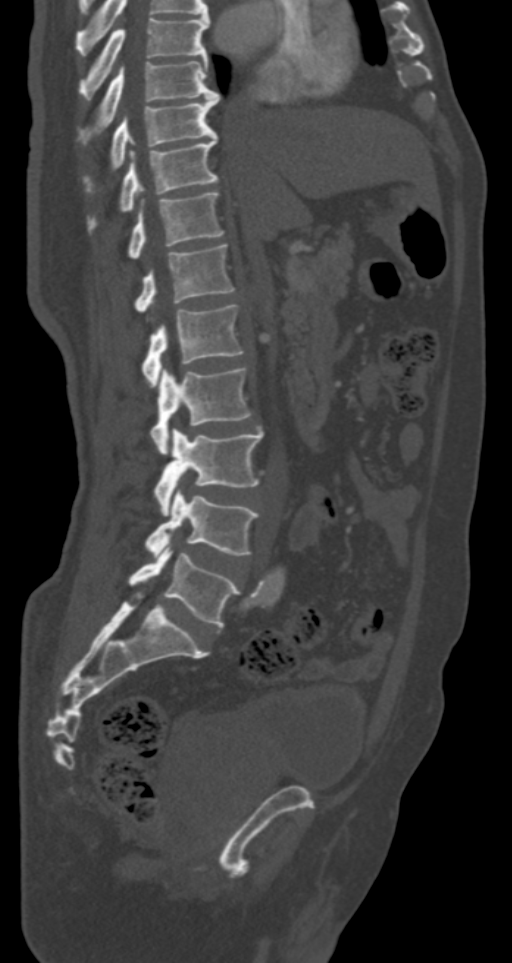 Spine computed tomography. sagittal reformat. 512x963 px. the image is 287 mm wide

Boxes below are [x1, y1, x2, y2] in pixels.
{"vertebrae":{"T7":[78,17,209,99],"T8":[78,60,220,143],"T9":[110,96,218,170],"T10":[89,137,218,229],"T11":[128,192,223,257],"T12":[135,244,234,312],"L1":[142,305,243,386],"L2":[151,367,250,454],"L3":[155,428,263,515],"L4":[146,488,259,557],"L5":[128,543,239,627]}}